Spine computed tomography · image width 140 mm · sagittal view
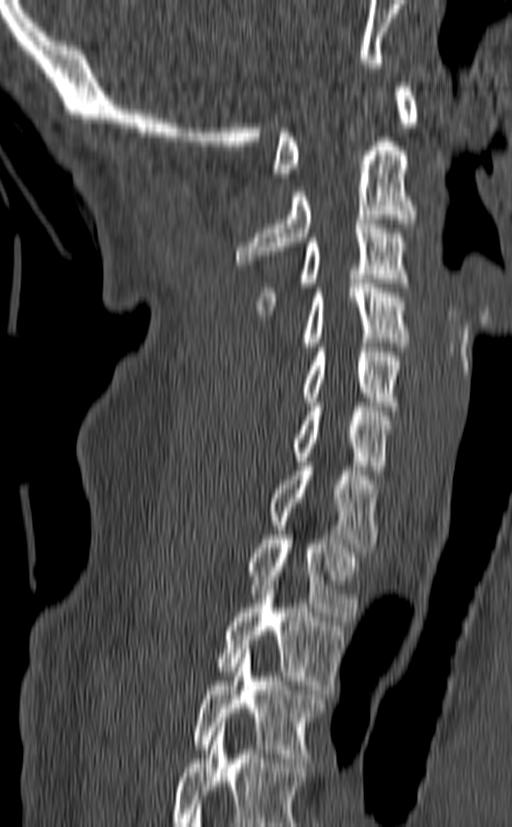

Each box is [x1, y1, x2, y2] in pixels: top-left corner, then bottom-right corner.
Labels in this scan begin with C1 at the top and end with T3 at the bottom.
{"vertebrae":{"C1":[272,82,418,177],"C2":[235,142,416,264],"C3":[257,219,411,314],"C4":[302,279,406,351],"C5":[301,347,403,410],"C6":[293,402,392,474],"C7":[268,462,377,552],"T1":[246,530,360,621],"T2":[217,571,344,689],"T3":[193,645,326,762]}}